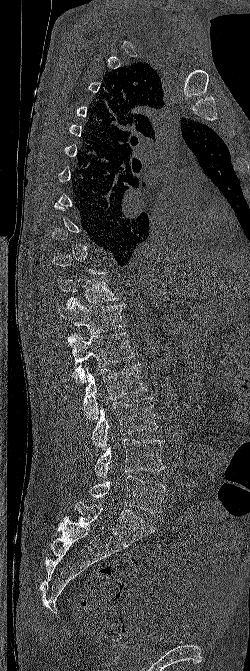

CT, spine; sagittal view; bone-window reconstruction

Each vertebra is boxed only on the slices from the first to the last where its cross-section reaches a third of its largest, so a slice outside that range leaves it unboxed.
<vertebrae><v name="L5" x1="89" y1="475" x2="165" y2="513"/><v name="L4" x1="94" y1="438" x2="165" y2="479"/><v name="L3" x1="91" y1="397" x2="157" y2="449"/><v name="L2" x1="83" y1="363" x2="146" y2="419"/><v name="L1" x1="68" y1="332" x2="135" y2="384"/><v name="T12" x1="58" y1="298" x2="126" y2="334"/><v name="T11" x1="58" y1="278" x2="119" y2="307"/></vertebrae>